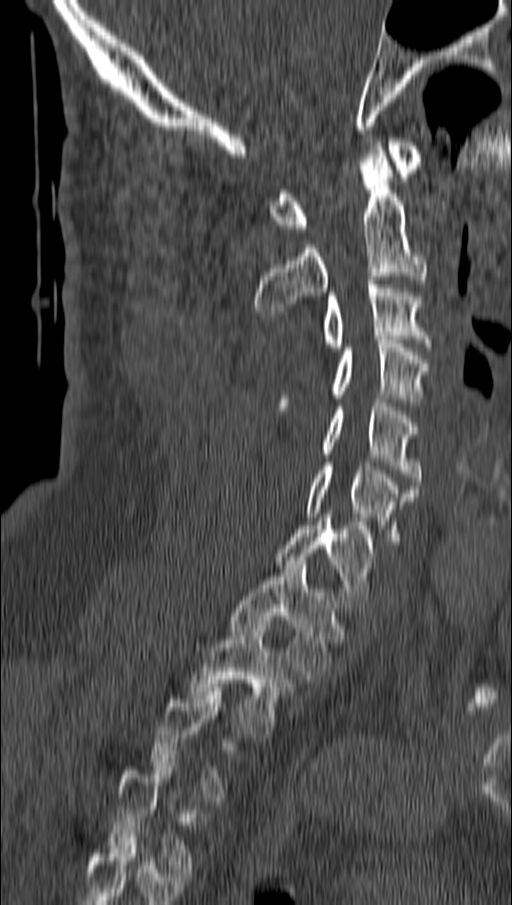

CT; sagittal view

Coordinates as <box>x1,y1,x2,y2</box>.
A vertebra gets a box only on the slices from the first to the last where its cross-section is at least a third of its largest; on a slice outside that range it gets none.
The highest labeled vertebra in this scan is C1; the lowest is T4.
Vertebra bounding boxes:
- C1: <box>270,138,424,232</box>
- C2: <box>254,142,427,315</box>
- C3: <box>320,280,430,351</box>
- C4: <box>279,336,430,406</box>
- C5: <box>320,399,420,485</box>
- C6: <box>304,462,418,548</box>
- C7: <box>276,514,373,611</box>
- T1: <box>229,561,338,679</box>
- T2: <box>188,620,294,738</box>
- T4: <box>109,759,206,872</box>